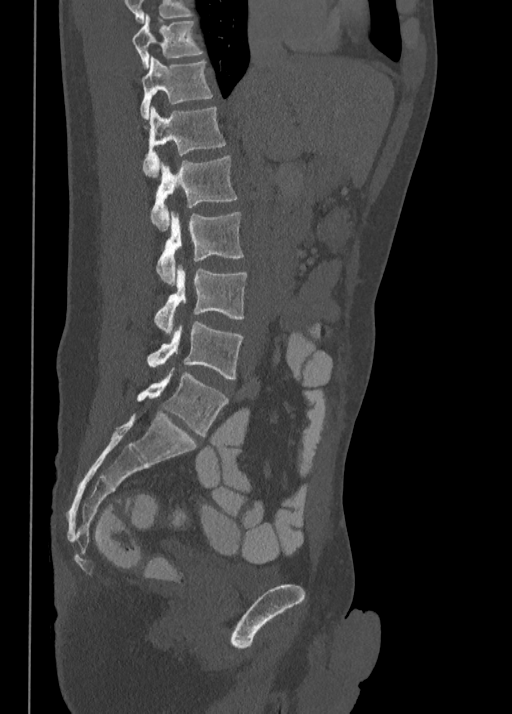

CT spine · sagittal reformat · 512x714 px

<vertebrae><v name="T10" x1="133" y1="14" x2="204" y2="67"/><v name="T11" x1="140" y1="57" x2="212" y2="119"/><v name="T12" x1="143" y1="105" x2="226" y2="177"/><v name="L1" x1="150" y1="157" x2="237" y2="229"/><v name="L2" x1="156" y1="212" x2="243" y2="283"/><v name="L3" x1="153" y1="266" x2="247" y2="332"/><v name="L4" x1="148" y1="321" x2="243" y2="379"/><v name="L5" x1="137" y1="370" x2="228" y2="436"/></vertebrae>